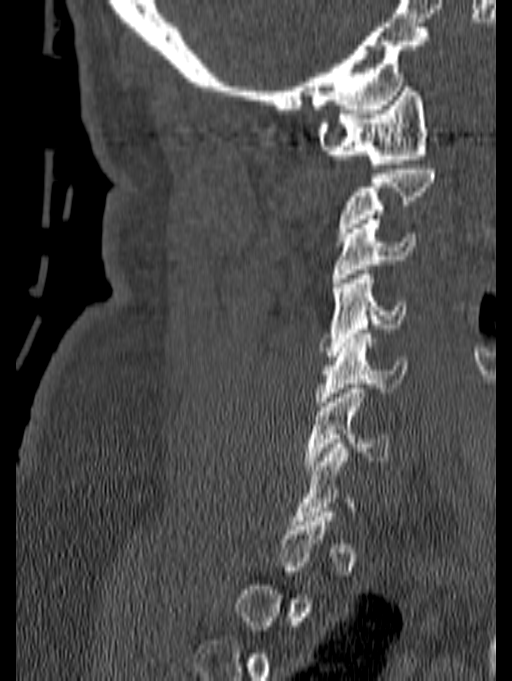

CT, spine. the image is 140 mm wide. sagittal view. bone-window reconstruction
Bounding boxes as [x1, y1, x2, y2] in pixel coordinates.
A vertebra is boxed only from the first to the last slice where its cross-section is at least a third of its largest; slices outside that range leave it without a box.
C1: [316, 82, 427, 168]
C3: [331, 219, 417, 282]
C4: [319, 270, 406, 356]
C5: [315, 329, 408, 406]
C6: [305, 384, 388, 470]